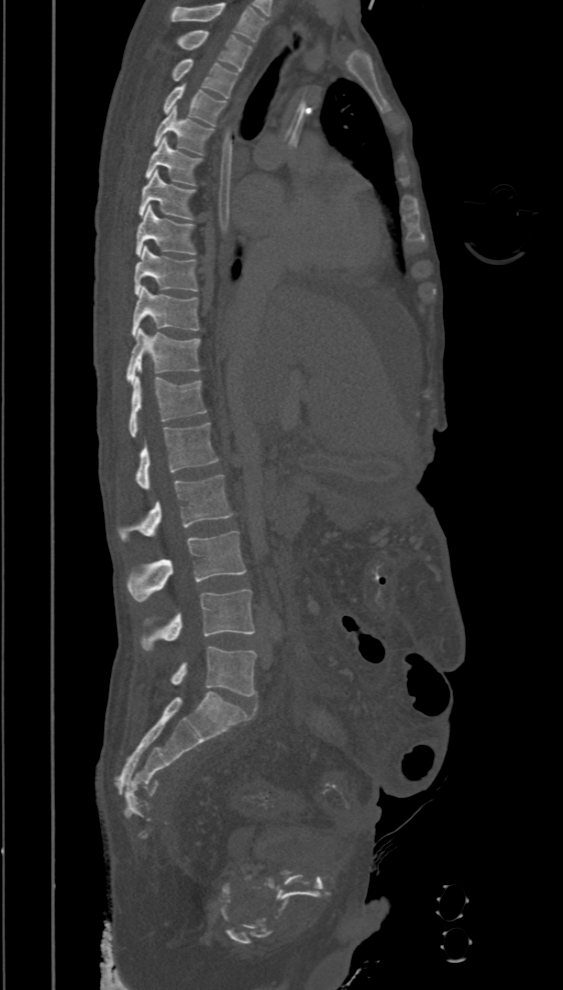

Computed tomography of the spine · sagittal view · 563x990 px
Columns x1, y1, x2, y2 give each box's top-left and bottom-right pixels.
In this scan, the topmost labeled vertebra is T2 and the lowest is L5.
| vertebra | x1 | y1 | x2 | y2 |
|---|---|---|---|---|
| L5 | 170 | 646 | 256 | 696 |
| L4 | 141 | 589 | 254 | 650 |
| L3 | 128 | 530 | 246 | 601 |
| L2 | 117 | 475 | 233 | 542 |
| L1 | 134 | 423 | 219 | 488 |
| T12 | 129 | 377 | 206 | 436 |
| T11 | 125 | 327 | 201 | 384 |
| T10 | 131 | 286 | 199 | 336 |
| T9 | 134 | 246 | 198 | 295 |
| T8 | 135 | 205 | 196 | 256 |
| T7 | 139 | 170 | 196 | 219 |
| T6 | 144 | 137 | 203 | 185 |
| T5 | 153 | 107 | 214 | 154 |
| T4 | 163 | 86 | 225 | 126 |
| T3 | 171 | 58 | 239 | 98 |
| T2 | 176 | 30 | 252 | 71 |